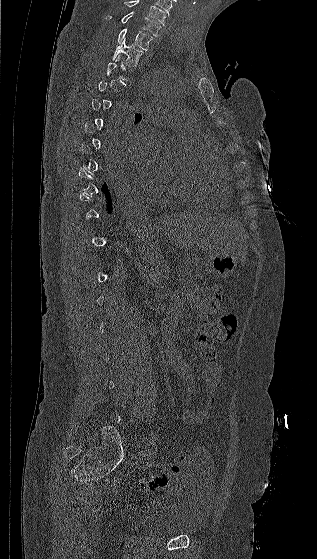 CT — sagittal view — 317x559 px — image 317 mm wide
Each box given as x1,y1,x2,y2.
A vertebra gets a box only on the slices from the first to the last where its cross-section is at least a third of its largest; on a slice outside that range it gets none.
The highest labeled vertebra in this scan is C7; the lowest is L5.
| vertebra | x1 | y1 | x2 | y2 |
|---|---|---|---|---|
| C7 | 104 | 11 | 162 | 36 |
| T1 | 117 | 29 | 153 | 50 |
| T2 | 112 | 39 | 144 | 66 |